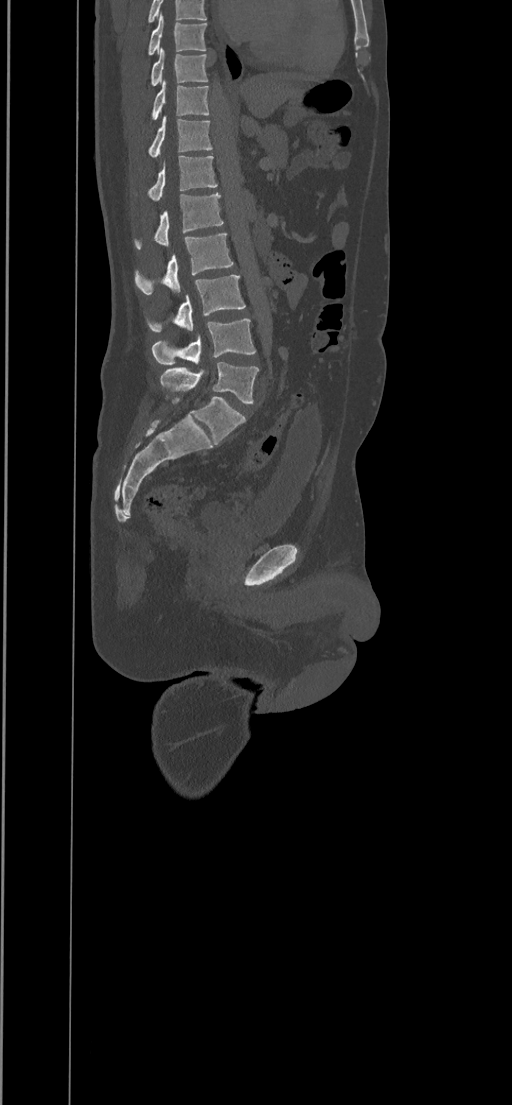
Computed tomography of the spine. sagittal view

This scan's labels start at T8 at the top and end at L5 at the bottom.
<vertebrae><v name="T8" x1="147" y1="13" x2="207" y2="54"/><v name="T9" x1="151" y1="47" x2="208" y2="85"/><v name="T10" x1="151" y1="81" x2="209" y2="119"/><v name="T11" x1="149" y1="116" x2="212" y2="157"/><v name="T12" x1="147" y1="156" x2="217" y2="201"/><v name="L1" x1="134" y1="192" x2="223" y2="247"/><v name="L2" x1="134" y1="234" x2="234" y2="294"/><v name="L3" x1="147" y1="275" x2="245" y2="331"/><v name="L4" x1="152" y1="319" x2="255" y2="364"/><v name="L5" x1="160" y1="362" x2="258" y2="402"/></vertebrae>